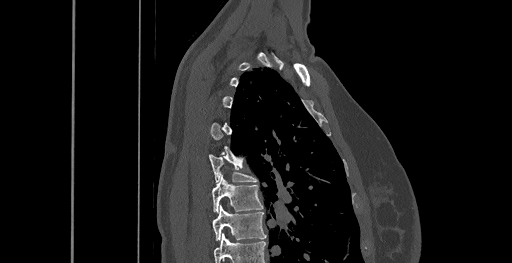
Spine CT · sagittal view · Bone window (WL 400, WW 1800)

Each vertebra is boxed only on the slices from the first to the last where its cross-section reaches a third of its largest, so a slice outside that range leaves it unboxed.
This scan's labels start at C6 at the top and end at T8 at the bottom.
<vertebrae><v name="T8" x1="213" y1="205" x2="266" y2="240"/><v name="T7" x1="212" y1="176" x2="263" y2="212"/><v name="T6" x1="208" y1="154" x2="257" y2="182"/></vertebrae>